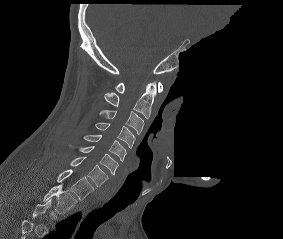 CT, spine; sagittal view; part of the image is constant black where the scan was masked. Box edges are left/top/right/bottom in pixels.
This scan's labels start at C1 at the top and end at T2 at the bottom.
C1: left=115, top=82, right=163, bottom=93
C2: left=103, top=81, right=156, bottom=118
C3: left=99, top=110, right=144, bottom=134
C4: left=95, top=122, right=135, bottom=147
C5: left=83, top=135, right=126, bottom=161
C6: left=69, top=143, right=118, bottom=175
C7: left=70, top=156, right=108, bottom=187
T1: left=57, top=169, right=93, bottom=200
T2: left=43, top=182, right=77, bottom=213